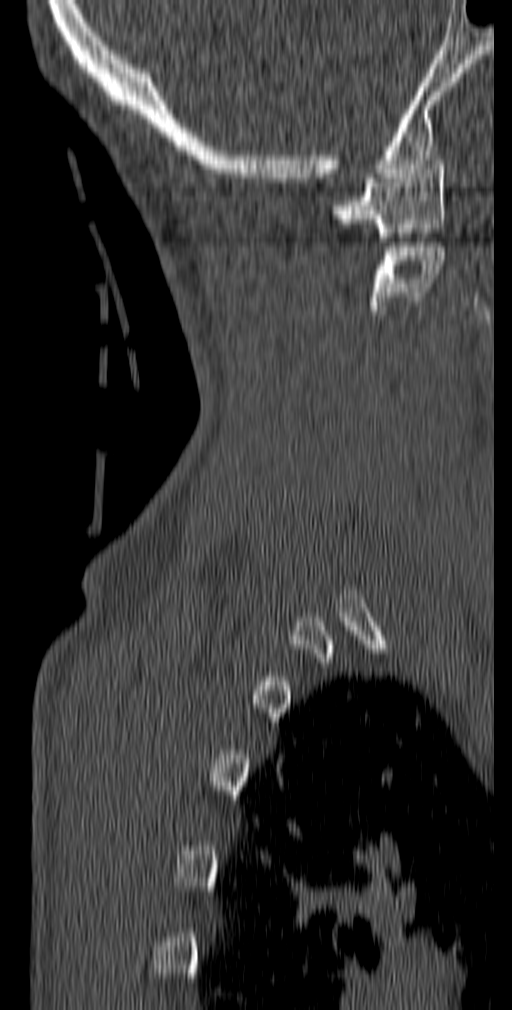 Computed tomography of the spine. sagittal view. the image spans 140 mm across

Each box is [x1, y1, x2, y2] in pixels: top-left corner, then bottom-right corner.
{"vertebrae":{"C1":[332,165,447,241],"C2":[371,242,445,314]}}